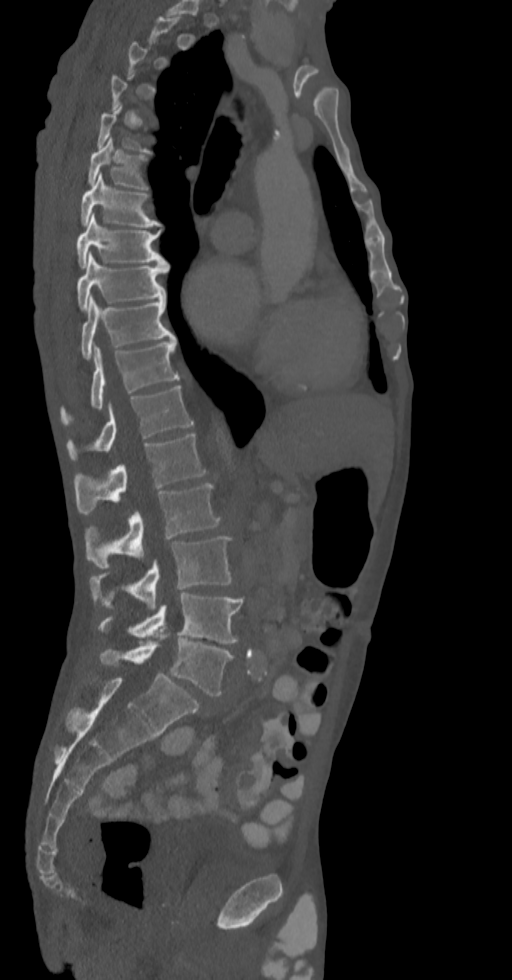
CT · 336 mm image width · sagittal reformat · Bone window (WL 400, WW 1800) · 512x980 px
Each box given as x1,y1,x2,y2.
Not every vertebra on this slice has a box: a vertebra is boxed only from the first to the last slice where its cross-section is at least a third of its largest, and this slice is outside that range for at least one of them.
Vertebra bounding boxes:
- T6: x1=88, y1=137, x2=147, y2=188
- T7: x1=80, y1=174, x2=160, y2=226
- T8: x1=76, y1=213, x2=168, y2=267
- T9: x1=77, y1=253, x2=168, y2=310
- T10: x1=80, y1=296, x2=175, y2=359
- T11: x1=61, y1=340, x2=179, y2=424
- T12: x1=67, y1=386, x2=194, y2=459
- L1: x1=74, y1=433, x2=206, y2=514
- L2: x1=85, y1=483, x2=221, y2=567
- L3: x1=90, y1=536, x2=232, y2=610
- L4: x1=97, y1=593, x2=243, y2=644
- L5: x1=100, y1=632, x2=233, y2=695